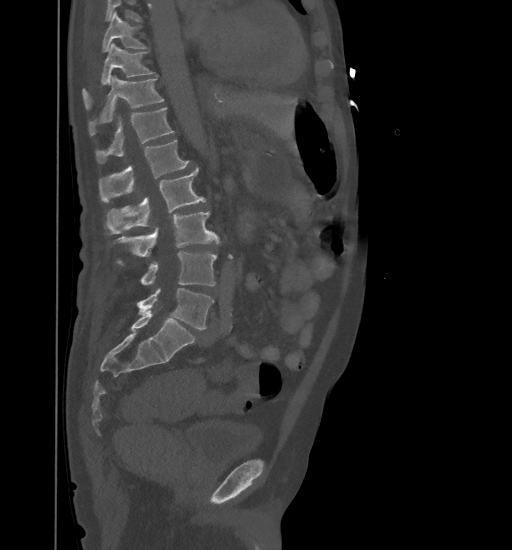
Spine computed tomography — sagittal view — bone window
Each box given as x1,y1,x2,y2. Vertebrae that run past the top of the scan are left unlabeled. Vertebrae labeled: T9 at x1=102, y1=12, x2=148, y2=52, T10 at x1=83, y1=43, x2=155, y2=108, T11 at x1=89, y1=76, x2=163, y2=135, T12 at x1=95, y1=108, x2=174, y2=162, L1 at x1=99, y1=140, x2=189, y2=201, L2 at x1=106, y1=168, x2=206, y2=233, L3 at x1=113, y1=211, x2=219, y2=256, L4 at x1=141, y1=251, x2=216, y2=286, L5 at x1=137, y1=288, x2=213, y2=330.